CT, spine — sagittal view — bone window
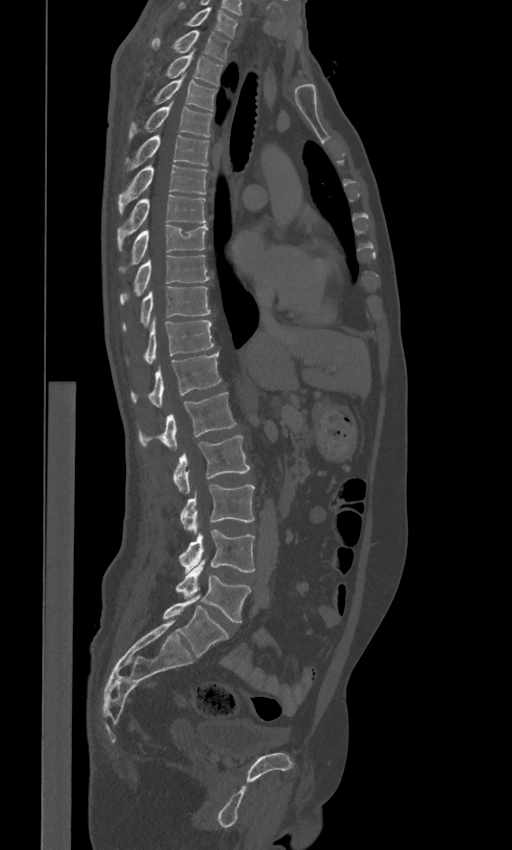 Box edges are left/top/right/bottom in pixels.
The labels name a sixth lumbar vertebra for this spine: L6, after L5.
| vertebra | x1 | y1 | x2 | y2 |
|---|---|---|---|---|
| C7 | 186 | 7 | 237 | 37 |
| T1 | 151 | 30 | 230 | 61 |
| T2 | 165 | 49 | 223 | 85 |
| T3 | 154 | 77 | 217 | 110 |
| T4 | 128 | 102 | 213 | 142 |
| T5 | 125 | 134 | 209 | 171 |
| T6 | 118 | 164 | 207 | 214 |
| T7 | 117 | 195 | 206 | 250 |
| T8 | 119 | 225 | 207 | 273 |
| T9 | 120 | 255 | 209 | 305 |
| T10 | 122 | 286 | 210 | 330 |
| T11 | 144 | 317 | 214 | 363 |
| T12 | 131 | 352 | 221 | 408 |
| L1 | 139 | 392 | 236 | 449 |
| L2 | 173 | 435 | 250 | 493 |
| L3 | 180 | 485 | 254 | 534 |
| L4 | 179 | 529 | 254 | 572 |
| L5 | 176 | 560 | 251 | 622 |
| L6 | 163 | 595 | 228 | 656 |